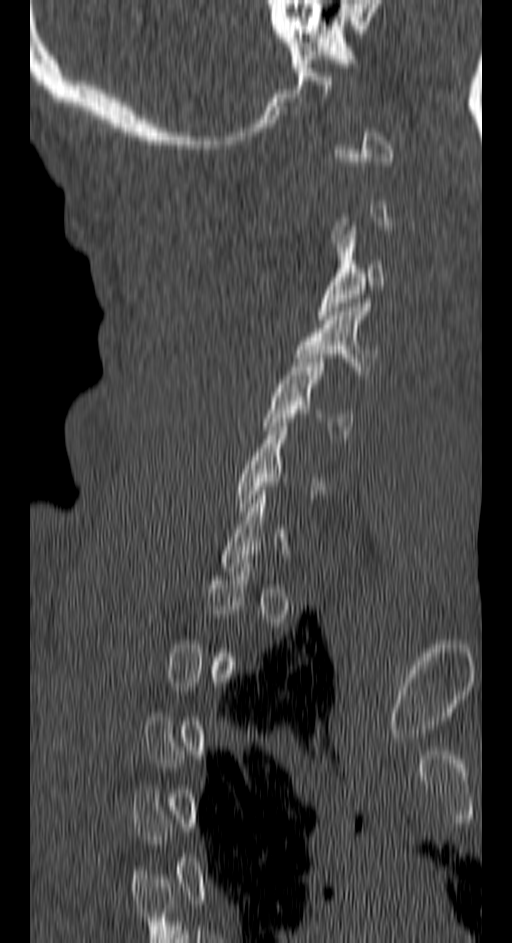

CT, spine · sagittal view · W/L 1800/400 HU. Boxes: x1 y1 x2 y2 (pixel coords, space-separated). A vertebra gets a box only on the slices from the first to the last where its cross-section is at least a third of its largest; on a slice outside that range it gets none. Vertebrae labeled: C5 at 264 354 355 438, C4 at 294 303 378 374, C3 at 317 226 386 319.